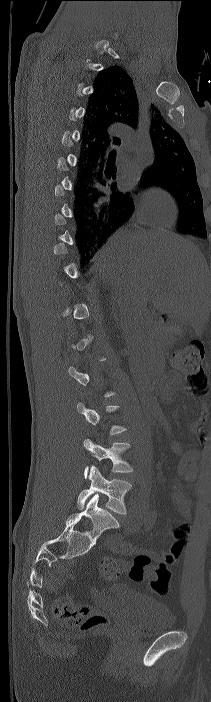 CT, spine; sagittal view; bone-window reconstruction; 211x702 px
Coordinates as <box>x1,y1,x2,y2</box>.
Not every vertebra on this slice has a box: a vertebra is boxed only from the first to the last slice where its cross-section is at least a third of its largest, and this slice is outside that range for at least one of them.
Labels in this scan begin with C7 at the top and end with L4 at the bottom.
Vertebra bounding boxes:
- L3: <box>83,438,133,479</box>
- L4: <box>77,466,131,514</box>